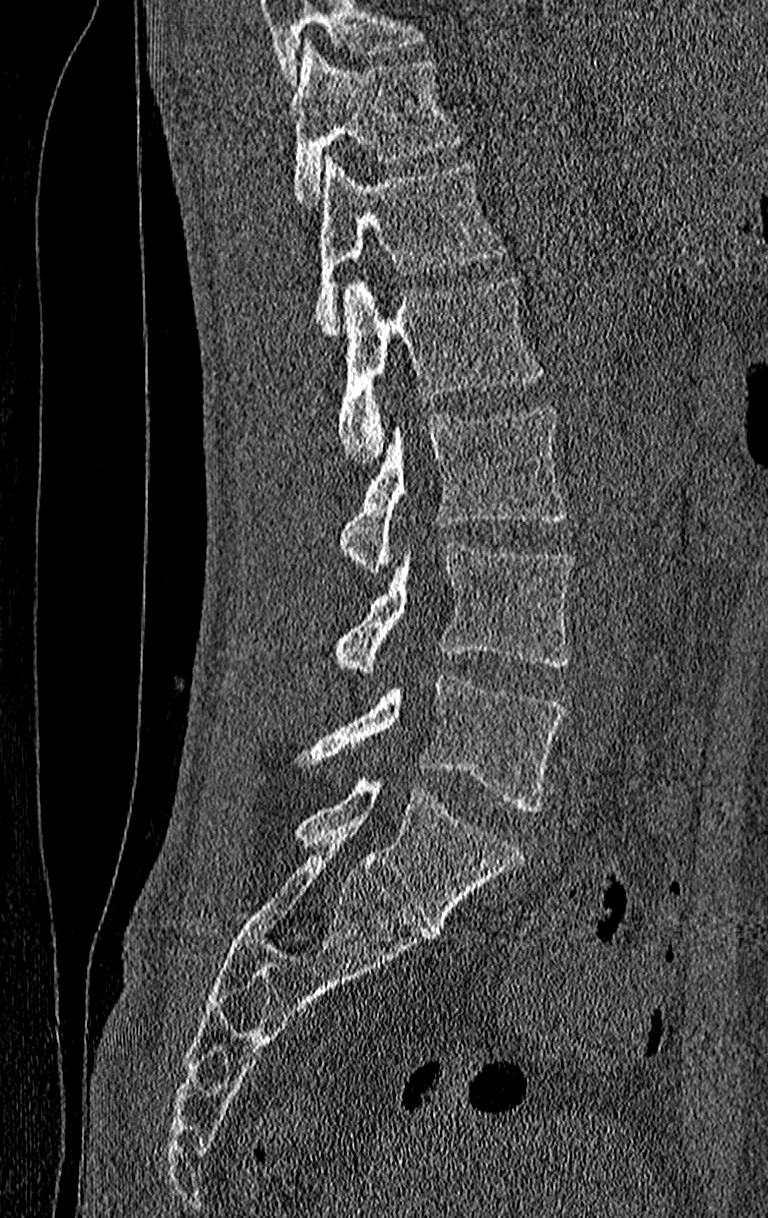 Computed tomography of the spine · sagittal view

Coordinates as <box>x1,y1,x2,y2</box>. Where the top of the scan cuts through a vertebra, that vertebra gets no label or box. Labels in this scan begin with T11 at the top and end with L4 at the bottom. 6 vertebrae labeled — T11 at <box>291,41,462,205</box>; T12 at <box>313,155,506,333</box>; L1 at <box>335,275,543,465</box>; L2 at <box>339,406,565,570</box>; L3 at <box>331,541,575,672</box>; L4 at <box>299,673,565,812</box>.